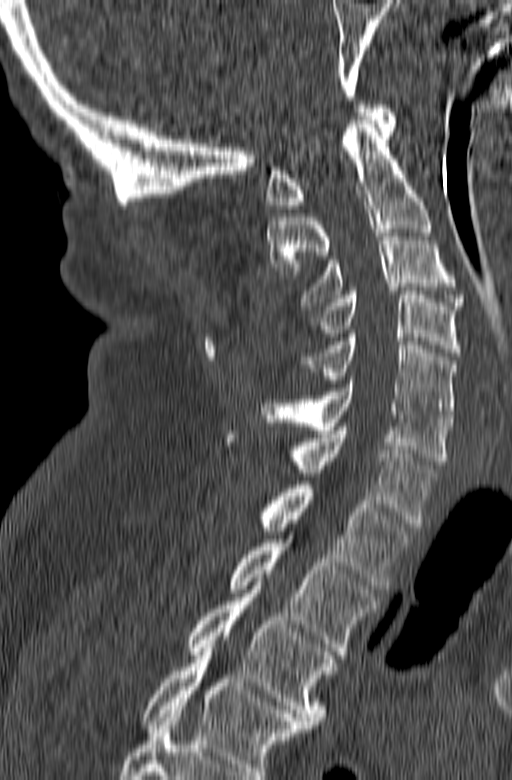

CT spine · sagittal view. Box edges are left/top/right/bottom in pixels. Labels in this scan begin with C1 at the top and end with T3 at the bottom. The labeled vertebrae in this slice are: C1 at left=266, top=105, right=397, bottom=208, C2 at left=267, top=116, right=431, bottom=278, C3 at left=299, top=229, right=464, bottom=309, C4 at left=310, top=291, right=460, bottom=356, C5 at left=299, top=334, right=456, bottom=418, C6 at left=261, top=380, right=452, bottom=464, C7 at left=293, top=427, right=438, bottom=527, T1 at left=259, top=481, right=412, bottom=589, T2 at left=230, top=539, right=379, bottom=658, T3 at left=186, top=586, right=337, bottom=728.